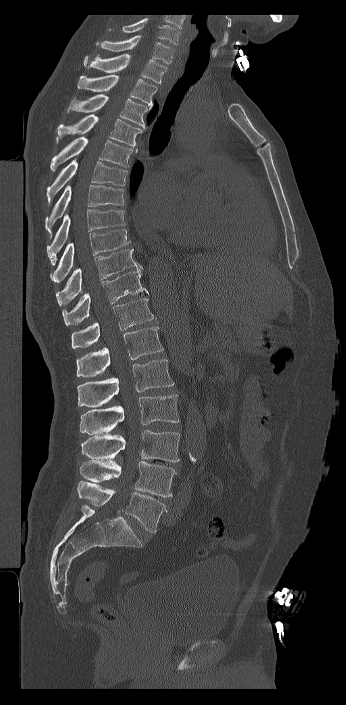 CT · sagittal view

In the table, x1 and y1 are a box's top-left corner and x2 and y2 its bottom-right corner, in pixels.
Labels in this scan begin with C7 at the top and end with L6 at the bottom.
The labels name a sixth lumbar vertebra for this spine: L6, after L5.
| vertebra | x1 | y1 | x2 | y2 |
|---|---|---|---|---|
| C7 | 96 | 35 | 174 | 64 |
| T1 | 84 | 53 | 166 | 83 |
| T2 | 77 | 74 | 157 | 108 |
| T3 | 67 | 94 | 151 | 128 |
| T4 | 56 | 114 | 142 | 146 |
| T5 | 50 | 136 | 137 | 171 |
| T6 | 46 | 159 | 127 | 205 |
| T7 | 45 | 185 | 124 | 238 |
| T8 | 47 | 209 | 125 | 265 |
| T9 | 50 | 229 | 130 | 282 |
| T10 | 56 | 246 | 142 | 306 |
| T11 | 62 | 269 | 148 | 325 |
| T12 | 71 | 298 | 153 | 348 |
| L1 | 76 | 327 | 163 | 377 |
| L2 | 77 | 359 | 174 | 407 |
| L3 | 79 | 394 | 179 | 434 |
| L4 | 80 | 430 | 180 | 462 |
| L5 | 79 | 460 | 176 | 497 |
| L6 | 77 | 481 | 167 | 532 |